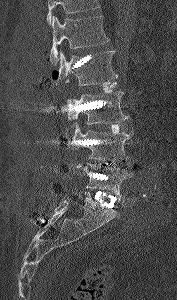

CT, spine · sagittal reformat. Each row gives a vertebra's box as x1, y1, x2, y2 in pixels: top-left corner, then bottom-right corner.
Where the top of the scan cuts through a vertebra, that vertebra gets no label or box.
| vertebra | x1 | y1 | x2 | y2 |
|---|---|---|---|---|
| L1 | 49 | 16 | 109 | 65 |
| L2 | 53 | 51 | 118 | 86 |
| L3 | 66 | 91 | 130 | 124 |
| L4 | 72 | 123 | 133 | 162 |
| L5 | 77 | 163 | 132 | 199 |